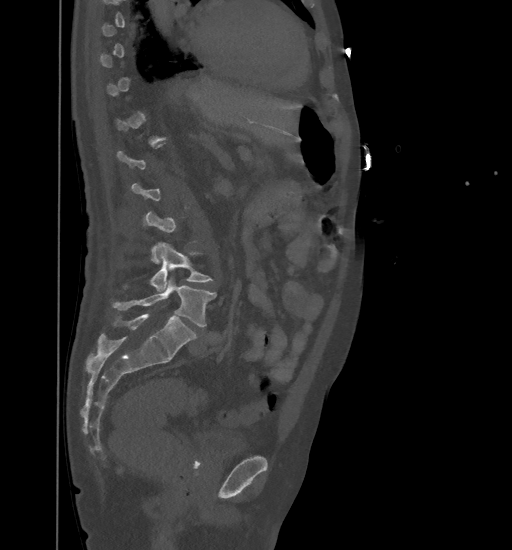
CT spine · sagittal view · bone window · 512x550 px

Boxes: x1 y1 x2 y2 (pixel coords, space-separated).
Not every vertebra on this slice has a box: a vertebra is boxed only from the first to the last slice where its cross-section is at least a third of its largest, and this slice is outside that range for at least one of them.
Vertebra bounding boxes:
- L4: 122 242 213 291
- L5: 113 278 215 326